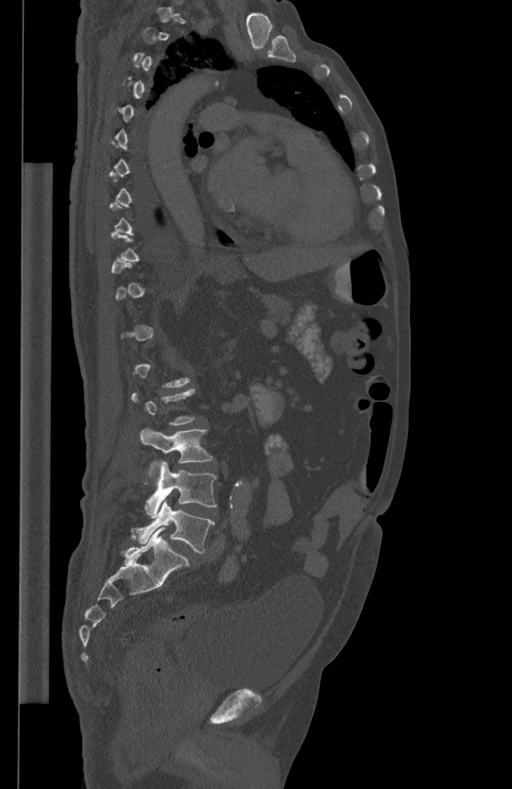

Spine computed tomography. sagittal view. the image is 434 mm wide. W/L 1800/400 HU. 512x789 px

Boxes: x1:y1:x2:y2 in pixels.
Each vertebra is boxed only on the slices from the first to the last where its cross-section reaches a third of its largest, so a slice outside that range leaves it unboxed.
L3: 140:428:212:462
L4: 145:461:216:518
L5: 136:499:215:553